CT spine — sagittal view — bone-window reconstruction
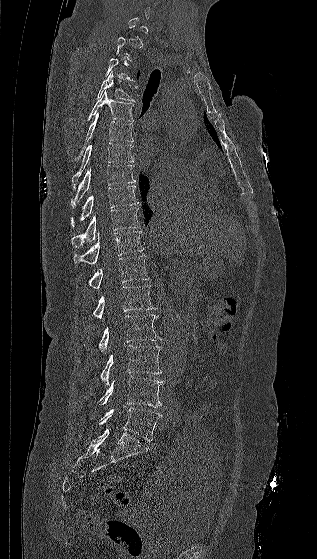

A vertebra is boxed only from the first to the last slice where its cross-section is at least a third of its largest; slices outside that range leave it without a box.
<vertebrae><v name="T4" x1="97" y1="72" x2="134" y2="101"/><v name="T5" x1="88" y1="91" x2="134" y2="121"/><v name="T6" x1="78" y1="112" x2="133" y2="157"/><v name="T7" x1="72" y1="142" x2="134" y2="188"/><v name="T8" x1="71" y1="165" x2="136" y2="208"/><v name="T9" x1="71" y1="185" x2="138" y2="226"/><v name="T10" x1="71" y1="208" x2="140" y2="247"/><v name="T11" x1="73" y1="231" x2="143" y2="264"/><v name="T12" x1="87" y1="255" x2="149" y2="289"/><v name="L1" x1="93" y1="285" x2="157" y2="318"/><v name="L2" x1="98" y1="314" x2="161" y2="353"/><v name="L3" x1="100" y1="345" x2="162" y2="386"/><v name="L4" x1="99" y1="376" x2="164" y2="407"/><v name="L5" x1="99" y1="407" x2="161" y2="441"/></vertebrae>